CT — Sagittal slice 360/512 — image width 149 mm — W/L 1800/400 HU
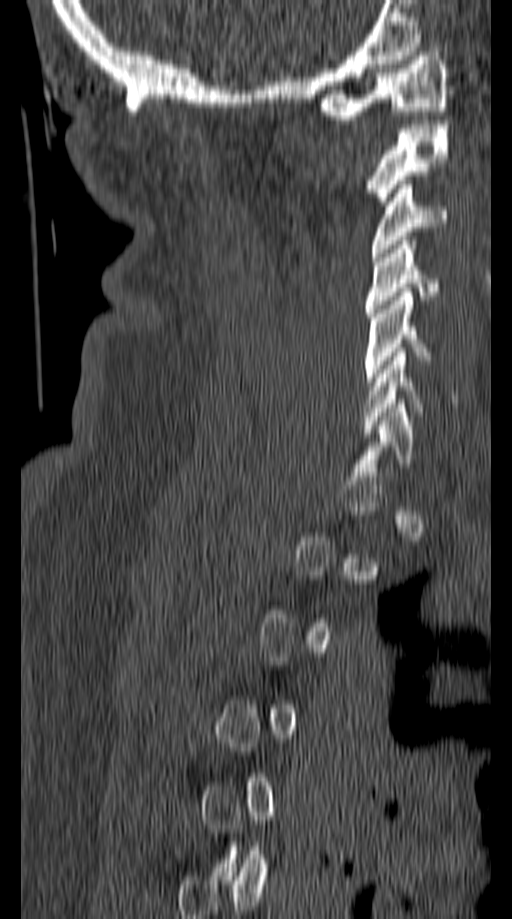

Boxes: x1:y1:x2:y2 in pixels.
A vertebra is boxed only from the first to the last slice where its cross-section is at least a third of its largest; slices outside that range leave it without a box.
C1: 318:47:447:119
C2: 369:120:447:205
C3: 372:180:447:257
C4: 365:241:440:317
C5: 364:292:430:386
C6: 363:352:458:433